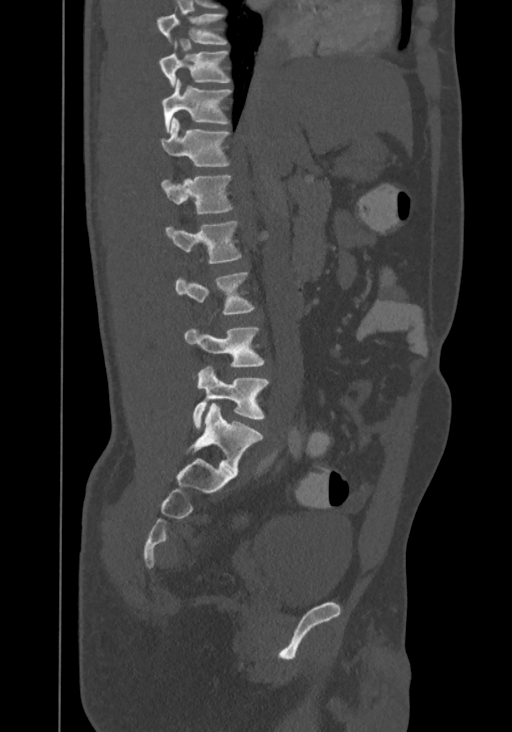

CT — sagittal view

Boxes: x1:y1:x2:y2 in pixels.
Labels in this scan begin with T8 at the top and end with L4 at the bottom.
T8: 157:9:228:43
T9: 158:44:230:87
T10: 162:78:232:131
T11: 162:118:230:166
T12: 160:175:232:214
L1: 166:221:242:264
L2: 176:271:254:314
L3: 184:328:264:367
L4: 192:365:268:430